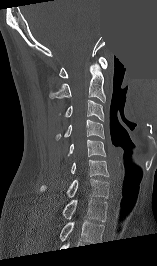

Computed tomography of the spine · sagittal reformat · a portion of the image is blanked out (constant pixel value)
Box values are [left, top, right, bottom] in pixels.
This scan's labels start at C1 at the top and end at T1 at the bottom.
{"vertebrae":{"C1":[59,56,107,78],"C2":[49,63,105,102],"C3":[59,99,103,122],"C4":[55,119,104,140],"C5":[68,139,105,156],"C6":[71,159,108,176],"C7":[40,178,108,198],"T1":[62,198,107,221]}}